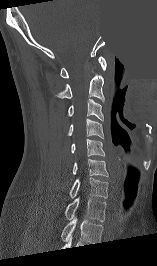
CT · sagittal view · part of the image is a flat gray fill, not anatomy
Labels in this scan begin with C1 at the top and end with T1 at the bottom.
<vertebrae><v name="T1" x1="64" y1="197" x2="106" y2="221"/><v name="C7" x1="69" y1="177" x2="108" y2="198"/><v name="C6" x1="72" y1="158" x2="109" y2="176"/><v name="C5" x1="71" y1="139" x2="104" y2="156"/><v name="C4" x1="68" y1="118" x2="103" y2="138"/><v name="C3" x1="68" y1="99" x2="103" y2="121"/><v name="C2" x1="55" y1="75" x2="104" y2="102"/><v name="C1" x1="60" y1="56" x2="106" y2="78"/></vertebrae>